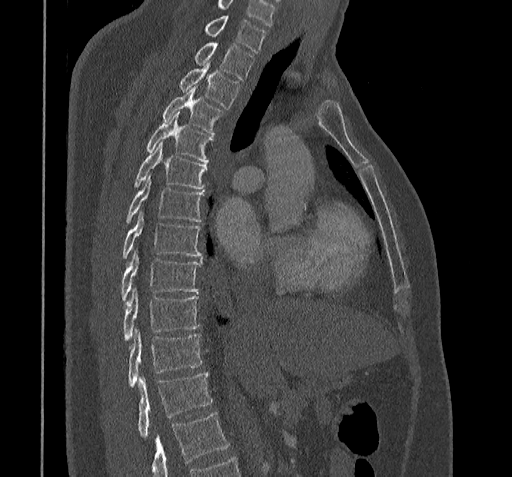 CT spine. sagittal reformat. W/L 1800/400 HU

Where the bottom of the scan cuts through a vertebra, that vertebra gets no label or box.
In this scan, the topmost labeled vertebra is C7 and the lowest is T11.
<vertebrae><v name="C7" x1="205" y1="16" x2="266" y2="52"/><v name="T1" x1="194" y1="43" x2="253" y2="79"/><v name="T2" x1="179" y1="60" x2="239" y2="108"/><v name="T3" x1="162" y1="87" x2="223" y2="134"/><v name="T4" x1="146" y1="113" x2="212" y2="162"/><v name="T5" x1="135" y1="142" x2="207" y2="188"/><v name="T6" x1="127" y1="176" x2="202" y2="221"/><v name="T7" x1="122" y1="210" x2="202" y2="258"/><v name="T8" x1="121" y1="250" x2="202" y2="302"/><v name="T9" x1="124" y1="289" x2="199" y2="341"/><v name="T10" x1="128" y1="329" x2="201" y2="387"/><v name="T11" x1="138" y1="374" x2="212" y2="437"/></vertebrae>